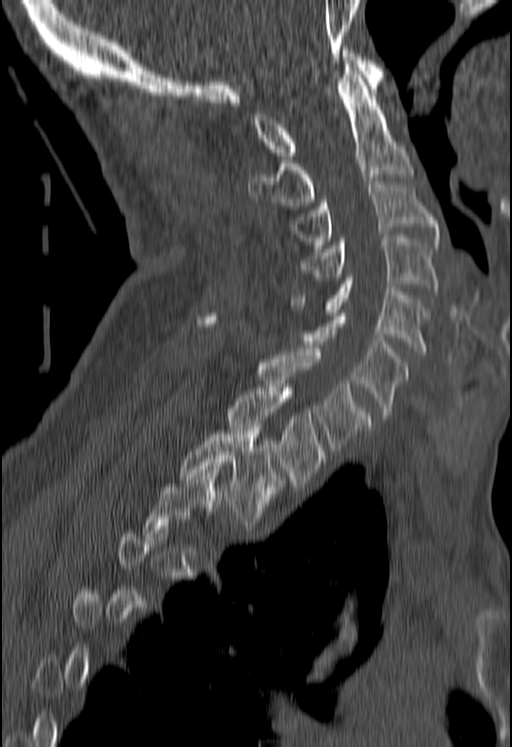
Spine computed tomography — sagittal view — 512x747 px

Boxes: x1 y1 x2 y2 (pixel coords, space-separated). A vertebra gets a box only on the slices from the first to the last where its cross-section is at least a third of its largest; on a slice outside that range it gets none. Vertebrae labeled: C1 at 250 46 384 159, C2 at 248 68 412 205, C3 at 288 181 438 244, C4 at 299 235 438 291, C5 at 291 277 427 355, C6 at 302 309 410 419, C7 at 194 313 370 454, T1 at 226 384 324 486, T2 at 180 427 284 525.